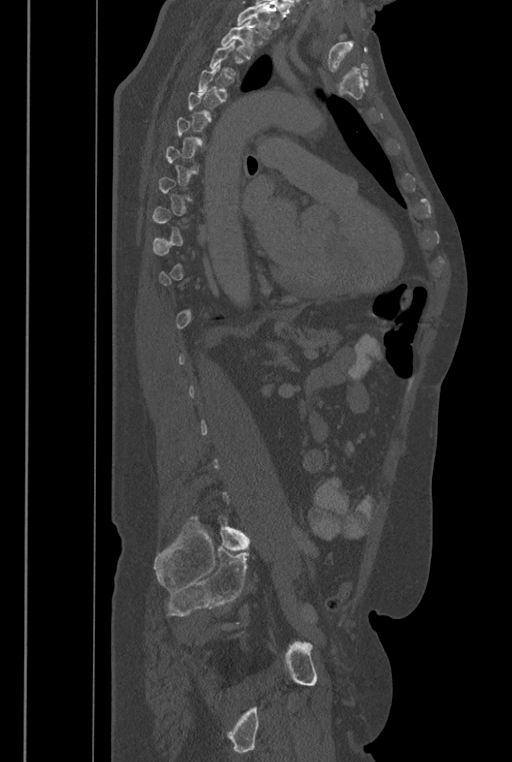
CT, spine · sagittal reformat · 512x762 px

Each box given as x1,y1,x2,y2.
A vertebra gets a box only on the slices from the first to the last where its cross-section is at least a third of its largest; on a slice outside that range it gets none.
Vertebrae that run past the top of the scan are left unlabeled.
The labels name a sixth lumbar vertebra for this spine: L6, after L5.
Vertebra bounding boxes:
- L6: x1=217, y1=516, x2=250, y2=551
- T2: x1=220, y1=21, x2=255, y2=59